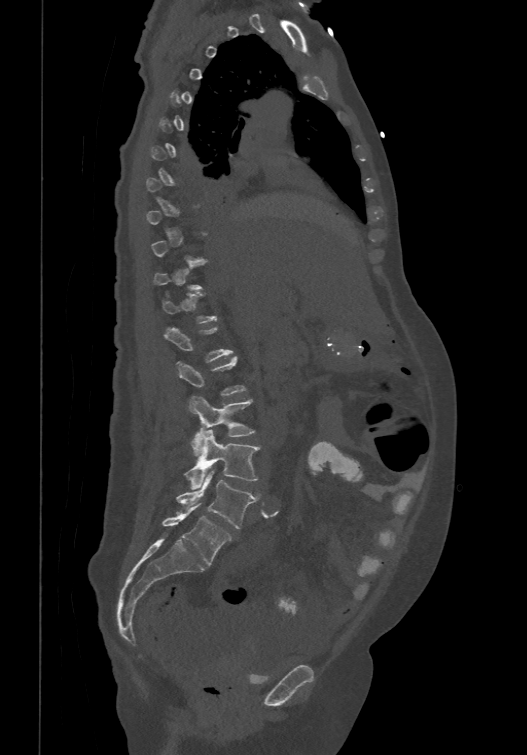
Spine CT. sagittal view. the image is 474 mm wide
Each row gives a vertebra's box as x1, y1, x2, y2 in pixels: top-left corner, then bottom-right corner.
A vertebra gets a box only on the slices from the first to the last where its cross-section is at least a third of its largest; on a slice outside that range it gets none.
In these labels the spine has an L6, a sixth lumbar vertebra below L5.
| vertebra | x1 | y1 | x2 | y2 |
|---|---|---|---|---|
| L6 | 161 | 503 | 231 | 565 |
| L5 | 177 | 472 | 257 | 528 |
| L4 | 184 | 431 | 260 | 488 |
| L3 | 188 | 396 | 254 | 456 |
| L2 | 177 | 355 | 246 | 396 |
| L1 | 165 | 325 | 233 | 361 |